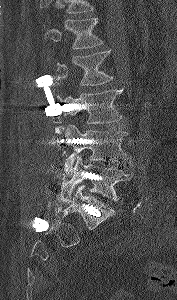 Computed tomography of the spine — the image is 177 mm wide — sagittal reformat — bone window — 177x300 px

No box is given to a vertebra that the top edge of the scan cuts off.
<vertebrae><v name="L1" x1="43" y1="18" x2="103" y2="48"/><v name="L2" x1="47" y1="50" x2="113" y2="85"/><v name="L3" x1="58" y1="89" x2="122" y2="123"/><v name="L4" x1="62" y1="124" x2="130" y2="170"/><v name="L5" x1="60" y1="155" x2="132" y2="203"/></vertebrae>